CT. sagittal view. W/L 1800/400 HU
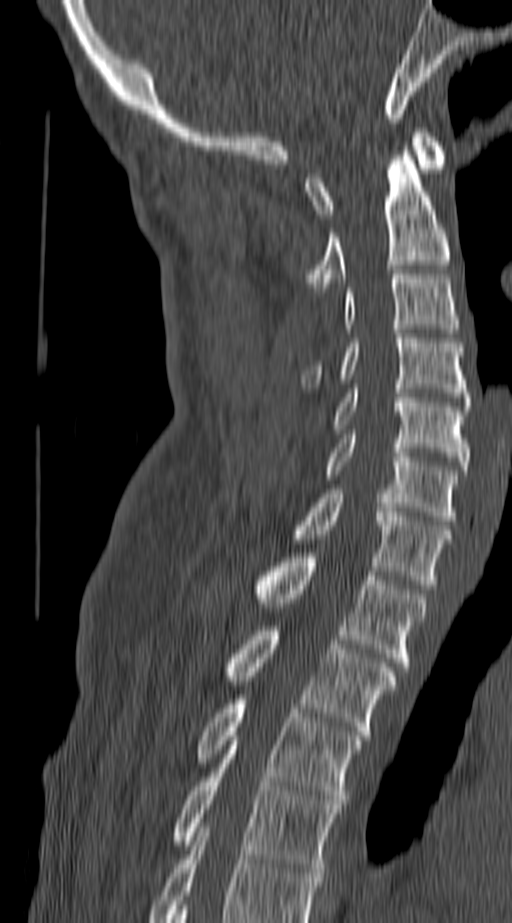 This scan's labels start at C1 at the top and end at T4 at the bottom.
<vertebrae><v name="T4" x1="173" y1="741" x2="340" y2="872"/><v name="T3" x1="195" y1="695" x2="362" y2="804"/><v name="T2" x1="224" y1="626" x2="395" y2="735"/><v name="T1" x1="254" y1="553" x2="425" y2="671"/><v name="C7" x1="294" y1="489" x2="450" y2="589"/><v name="C6" x1="323" y1="434" x2="457" y2="520"/><v name="C5" x1="334" y1="389" x2="468" y2="470"/><v name="C4" x1="305" y1="334" x2="468" y2="401"/><v name="C3" x1="345" y1="274" x2="457" y2="333"/><v name="C2" x1="305" y1="146" x2="450" y2="292"/><v name="C1" x1="305" y1="128" x2="447" y2="218"/></vertebrae>